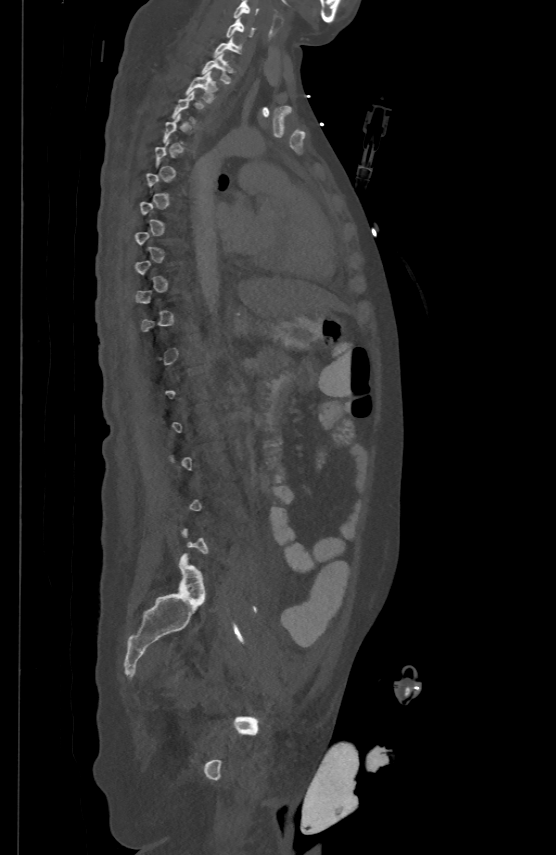
CT, spine — sagittal view — bone window — 556x855 px — 500 mm image width. Bounding boxes as [x1, y1, x2, y2] in pixel coordinates.
Each vertebra is boxed only on the slices from the first to the last where its cross-section reaches a third of its largest, so a slice outside that range leaves it unboxed.
C5: [233, 0, 259, 16]
C6: [227, 17, 254, 36]
C7: [214, 36, 241, 56]
T1: [201, 52, 230, 82]
T2: [186, 71, 217, 102]